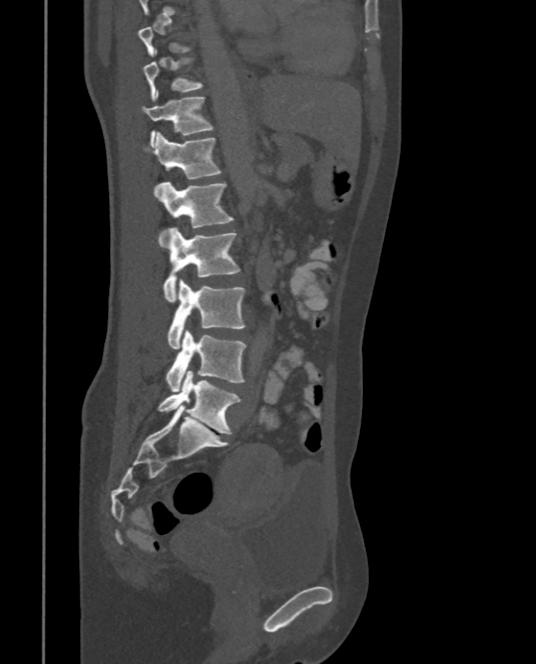
Spine computed tomography — sagittal view — bone-window reconstruction — 536x664 px

Boxes are given in columns x1, y1, x2, y2, the pixel coordinates of their top-left and bottom-right corners.
A vertebra is boxed only from the first to the last slice where its cross-section is at least a third of its largest; slices outside that range leave it without a box.
| vertebra | x1 | y1 | x2 | y2 |
|---|---|---|---|---|
| L5 | 158 | 370 | 241 | 433 |
| L4 | 165 | 330 | 246 | 392 |
| L3 | 167 | 280 | 245 | 349 |
| L2 | 162 | 227 | 241 | 302 |
| L1 | 160 | 181 | 233 | 246 |
| T12 | 145 | 131 | 222 | 196 |
| T11 | 141 | 91 | 213 | 147 |
| T10 | 142 | 58 | 203 | 100 |